Spine computed tomography — image 672 mm wide — sagittal view — W/L 1800/400 HU
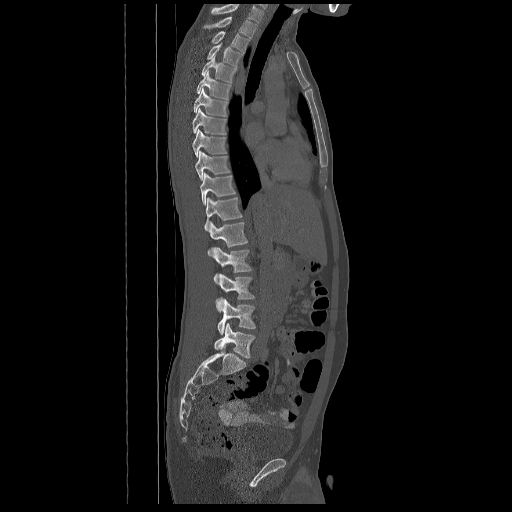
Boxes: x1 y1 x2 y2 (pixel coords, space-separated).
This scan's labels start at T2 at the top and end at L5 at the bottom.
Vertebra bounding boxes:
- T2: 203 17 257 38
- T3: 211 31 250 52
- T4: 207 43 243 67
- T5: 201 56 236 83
- T6: 196 72 231 99
- T7: 193 87 227 116
- T8: 193 108 226 135
- T9: 192 129 227 157
- T10: 195 151 230 180
- T11: 200 173 235 205
- T12: 204 197 242 232
- L1: 208 222 247 256
- L2: 213 248 252 283
- L3: 216 273 255 311
- L4: 218 299 256 334
- L5: 214 323 255 358